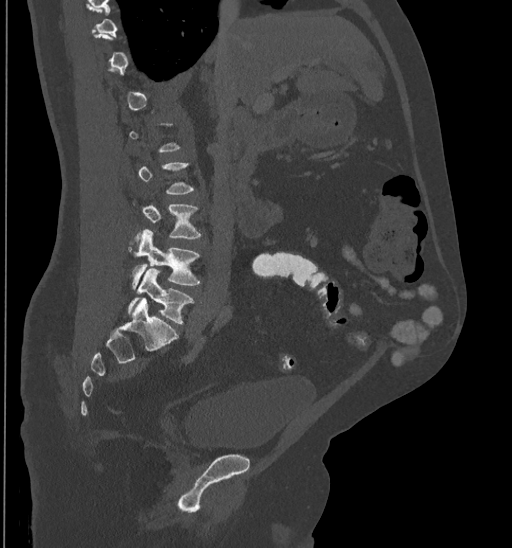

Spine CT · sagittal view
A vertebra is boxed only from the first to the last slice where its cross-section is at least a third of its largest; slices outside that range leave it without a box.
<vertebrae><v name="L3" x1="128" y1="204" x2="200" y2="251"/><v name="L4" x1="132" y1="229" x2="200" y2="289"/><v name="L5" x1="128" y1="269" x2="193" y2="324"/></vertebrae>